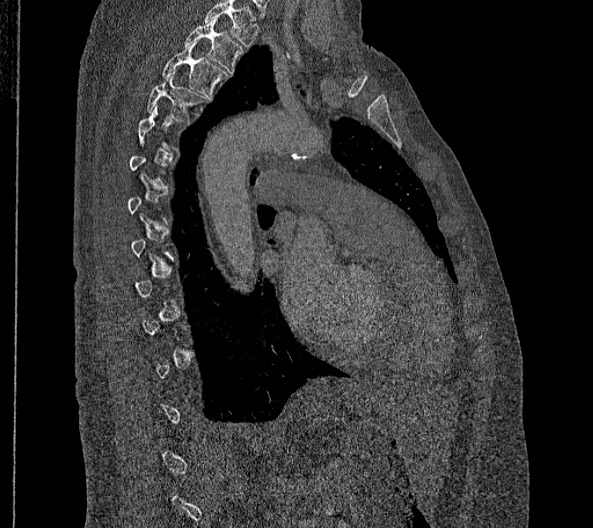

Spine computed tomography · sagittal reformat · 593x528 px · 356 mm wide
Each row gives a vertebra's box as x1, y1, x2, y2 in pixels: top-left corner, then bottom-right corner.
A vertebra gets a box only on the slices from the first to the last where its cross-section is at least a third of its largest; on a slice outside that range it gets none.
This scan's labels start at T2 at the top and end at L2 at the bottom.
| vertebra | x1 | y1 | x2 | y2 |
|---|---|---|---|---|
| T2 | 184 | 18 | 244 | 74 |
| T3 | 162 | 41 | 227 | 99 |
| T4 | 146 | 70 | 208 | 121 |